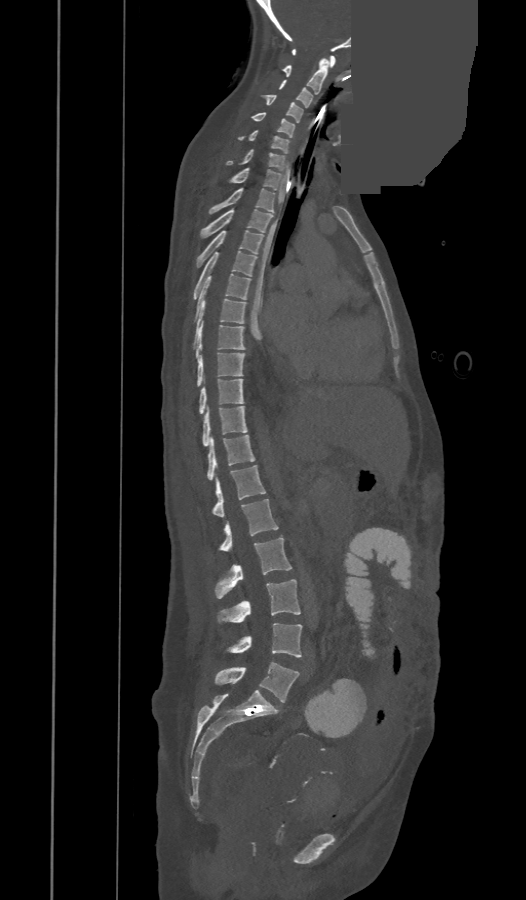 Spine CT — sagittal reformat — 526x900 px — part of the image has been replaced by a constant value. Boxes: x1:y1:x2:y2 in pixels.
In these labels the spine has a T13, a thirteenth thoracic vertebra, between T12 and L1.
C1: 292:49:335:67
C2: 283:59:327:94
C3: 279:80:312:107
C4: 261:95:302:122
C5: 251:112:295:137
C6: 239:130:288:152
C7: 227:149:285:170
T1: 228:168:282:190
T2: 208:188:274:214
T3: 201:209:273:237
T4: 197:230:262:267
T5: 193:251:257:299
T6: 195:273:250:321
T7: 193:295:245:347
T8: 196:322:244:358
T9: 197:352:244:386
T10: 199:379:243:414
T11: 202:406:246:446
T12: 206:435:255:480
T13: 212:465:266:517
L1: 220:499:278:550
L2: 216:537:292:599
L3: 217:579:300:624
L4: 226:623:301:657
L5: 215:662:299:702